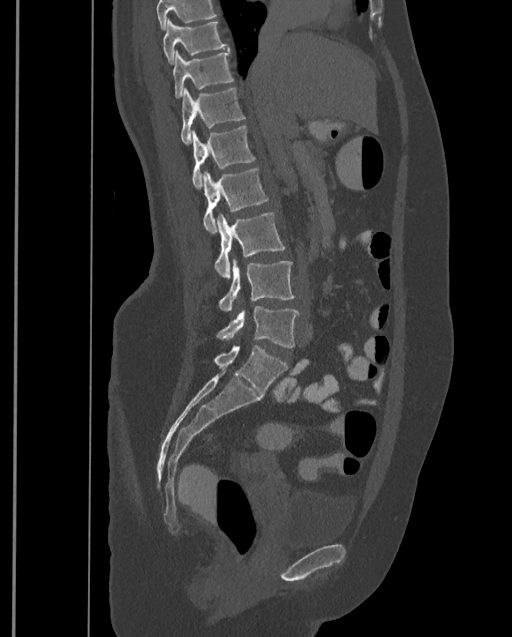

CT. image 399 mm wide. sagittal view

Where the top of the scan cuts through a vertebra, that vertebra gets no label or box.
This scan's labels start at T9 at the top and end at L4 at the bottom.
<vertebrae><v name="T9" x1="163" y1="17" x2="229" y2="65"/><v name="T10" x1="173" y1="49" x2="234" y2="98"/><v name="T11" x1="181" y1="87" x2="245" y2="146"/><v name="T12" x1="192" y1="126" x2="255" y2="188"/><v name="L1" x1="203" y1="167" x2="268" y2="233"/><v name="L2" x1="214" y1="212" x2="285" y2="278"/><v name="L3" x1="219" y1="259" x2="294" y2="311"/><v name="L4" x1="217" y1="306" x2="299" y2="347"/></vertebrae>